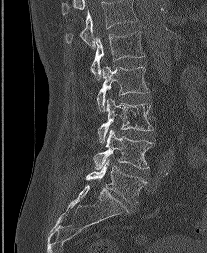
CT — sagittal view — bone-window reconstruction — 207x253 px — the image spans 207 mm across
Boxes: x1:y1:x2:y2 in pixels. The highest labeled vertebra in this scan is L1; the lowest is L5. Vertebrae labeled: L1 at 90:27:144:78, L2 at 97:66:149:111, L3 at 98:97:153:143, L4 at 94:129:153:169, L5 at 86:159:146:202.